CT — sagittal plane, index 285 — 512x782 px — scan covers 10 annotated vertebrae
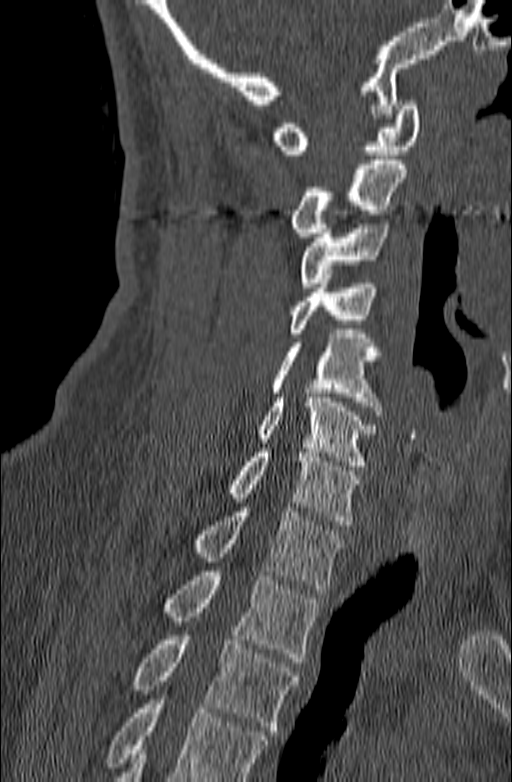 Boxes below are [x1, y1, x2, y2] in pixels.
Where the bottom of the scan cuts through a vertebra, that vertebra gets no label or box.
{"vertebrae":{"C1":[272,101,420,154],"C2":[290,160,406,237],"C3":[299,219,390,287],"C4":[290,279,377,337],"C5":[272,334,383,415],"C6":[257,393,377,465],"C7":[228,448,359,525],"T1":[192,507,344,589],"T2":[163,571,319,662],"T3":[132,631,300,735]}}